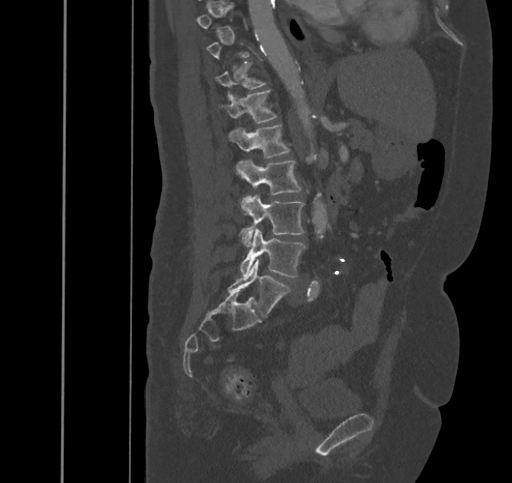 CT spine. sagittal reformat. Each row gives a vertebra's box as x1, y1, x2, y2 in pixels: top-left corner, then bottom-right corner.
Not every vertebra on this slice has a box: a vertebra is boxed only from the first to the last slice where its cross-section is at least a third of its largest, and this slice is outside that range for at least one of them.
| vertebra | x1 | y1 | x2 | y2 |
|---|---|---|---|---|
| T11 | 214 | 62 | 267 | 100 |
| T12 | 218 | 89 | 277 | 122 |
| L1 | 229 | 123 | 290 | 157 |
| L2 | 237 | 161 | 302 | 206 |
| L3 | 243 | 195 | 304 | 246 |
| L4 | 240 | 228 | 305 | 277 |
| L5 | 227 | 259 | 289 | 317 |